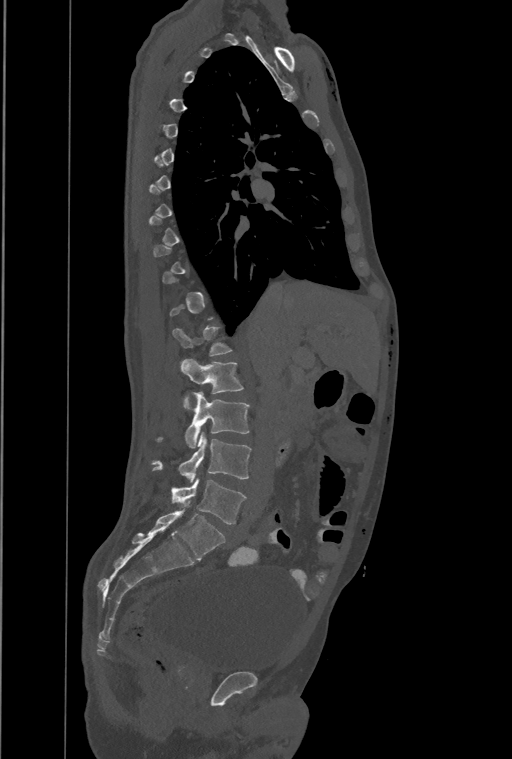

Computed tomography of the spine — 461 mm image width — sagittal reformat — Bone window (WL 400, WW 1800) — 512x759 px
Each vertebra is boxed only on the slices from the first to the last where its cross-section reaches a third of its largest, so a slice outside that range leaves it unboxed.
This scan's labels start at T1 at the top and end at L4 at the bottom.
<vertebrae><v name="L1" x1="181" y1="359" x2="243" y2="409"/><v name="L2" x1="185" y1="391" x2="249" y2="448"/><v name="L3" x1="152" y1="432" x2="251" y2="483"/><v name="L4" x1="172" y1="478" x2="245" y2="524"/></vertebrae>